Spine computed tomography · image 283 mm wide · sagittal view · W/L 1800/400 HU · 9 vertebrae labeled in this scan · part of the image is constant black where the scan was masked
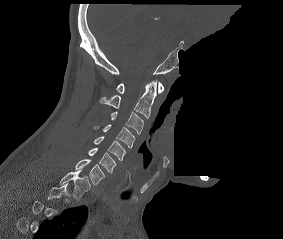 Coordinates as <box>x1,y1,x2,y2</box>.
Not every vertebra on this slice has a box: a vertebra is boxed only from the first to the last slice where its cross-section is at least a third of its largest, and this slice is outside that range for at least one of them.
C1: <box>116,82,163,93</box>
C2: <box>100,80,157,118</box>
C3: <box>111,111,143,134</box>
C4: <box>94,124,135,147</box>
C5: <box>93,136,125,160</box>
C6: <box>88,147,116,173</box>
C7: <box>75,159,105,184</box>
T1: <box>58,169,90,200</box>